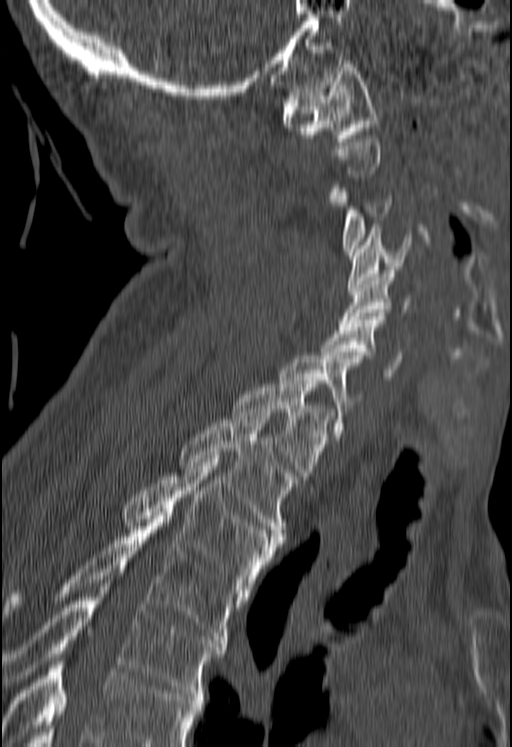

Spine computed tomography; sagittal reformat
Box values are [left, top, right, bottom] in pixels.
A vertebra is boxed only from the first to the last slice where its cross-section is at least a third of its largest; slices outside that range leave it without a box.
No box is given to a vertebra that the bottom edge of the scan cuts off.
{"vertebrae":{"T5":[2,590,225,696],"T4":[4,516,242,643],"T3":[123,459,279,593],"T2":[180,416,296,539],"T1":[232,380,332,486],"C7":[280,356,359,440],"C6":[321,316,401,379],"C5":[339,270,411,326],"C4":[348,228,411,291],"C3":[331,181,392,255],"C1":[283,60,378,141]}}